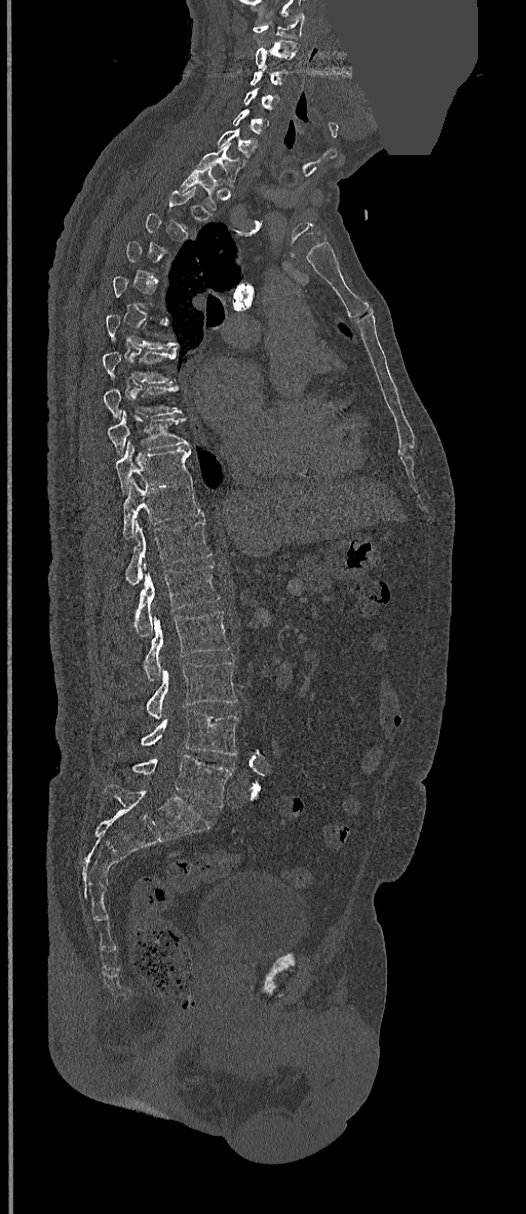

CT, spine · sagittal view · a region of this slice is masked with a uniform fill
Not every vertebra on this slice has a box: a vertebra is boxed only from the first to the last slice where its cross-section is at least a third of its largest, and this slice is outside that range for at least one of them.
<vertebrae><v name="C1" x1="253" y1="13" x2="305" y2="38"/><v name="C2" x1="256" y1="40" x2="298" y2="68"/><v name="C3" x1="250" y1="69" x2="289" y2="86"/><v name="C4" x1="242" y1="87" x2="278" y2="109"/><v name="C5" x1="233" y1="109" x2="267" y2="133"/><v name="C6" x1="217" y1="129" x2="258" y2="158"/><v name="C7" x1="197" y1="143" x2="239" y2="186"/><v name="T1" x1="181" y1="170" x2="218" y2="209"/><v name="T7" x1="102" y1="351" x2="176" y2="383"/><v name="T8" x1="103" y1="386" x2="182" y2="418"/><v name="T9" x1="107" y1="410" x2="187" y2="453"/><v name="T10" x1="115" y1="441" x2="192" y2="492"/><v name="T11" x1="122" y1="479" x2="203" y2="539"/><v name="T12" x1="125" y1="520" x2="212" y2="585"/><v name="L1" x1="135" y1="564" x2="219" y2="636"/><v name="L2" x1="143" y1="611" x2="230" y2="682"/><v name="L3" x1="146" y1="661" x2="237" y2="719"/><v name="L4" x1="142" y1="710" x2="237" y2="755"/><v name="L5" x1="132" y1="754" x2="232" y2="808"/></vertebrae>